CT spine. Sagittal slice 42/96. image 246 mm wide. bone window. 17 vertebrae labeled in this scan
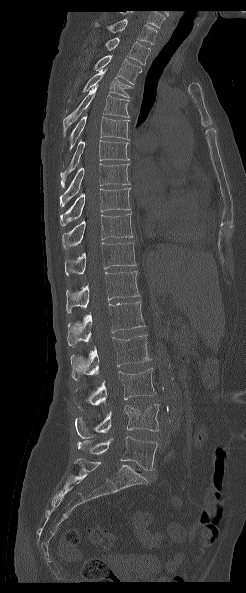 Each box given as x1,y1,x2,y2.
In this scan, the topmost labeled vertebra is T1 and the lowest is L5.
T1: x1=95, y1=18, x2=157, y2=44
T2: x1=105, y1=37, x2=150, y2=64
T3: x1=93, y1=55, x2=142, y2=84
T4: x1=83, y1=68, x2=132, y2=97
T5: x1=63, y1=83, x2=129, y2=136
T6: x1=69, y1=116, x2=129, y2=150
T7: x1=60, y1=140, x2=129, y2=188
T8: x1=60, y1=163, x2=129, y2=207
T9: x1=60, y1=188, x2=130, y2=226
T10: x1=62, y1=212, x2=132, y2=248
T11: x1=65, y1=242, x2=135, y2=276
T12: x1=66, y1=271, x2=140, y2=313
L1: x1=67, y1=301, x2=145, y2=346
L2: x1=70, y1=334, x2=150, y2=380
L3: x1=75, y1=368, x2=156, y2=409
L4: x1=75, y1=404, x2=159, y2=438
L5: x1=77, y1=436, x2=157, y2=470